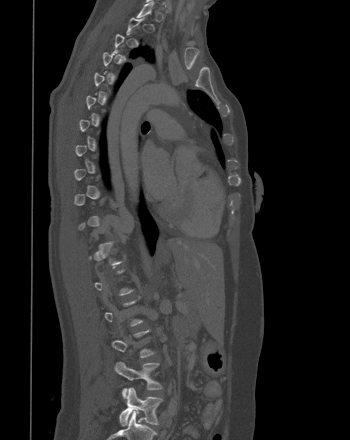

Computed tomography of the spine — sagittal reformat — 350 mm wide — bone-window reconstruction — 350x440 px
Boxes below are [x1, y1, x2, y2] in pixels.
Not every vertebra on this slice has a box: a vertebra is boxed only from the first to the last slice where its cross-section is at least a third of its largest, and this slice is outside that range for at least one of them.
{"vertebrae":{"L4":[114,361,162,397],"L5":[119,387,162,426]}}